CT, spine — sagittal view — the image is 168 mm wide
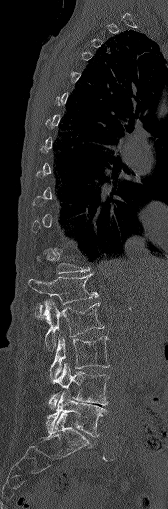
Bounding boxes as [x1, y1, x2, y2] in pixel coordinates.
Each vertebra is boxed only on the slices from the first to the last where its cross-section reaches a third of its largest, so a slice outside that range leaves it unboxed.
Vertebra bounding boxes:
- L5: [46, 391, 106, 436]
- L4: [48, 363, 109, 407]
- L3: [49, 334, 109, 381]
- L2: [43, 300, 103, 349]
- L1: [28, 274, 97, 308]